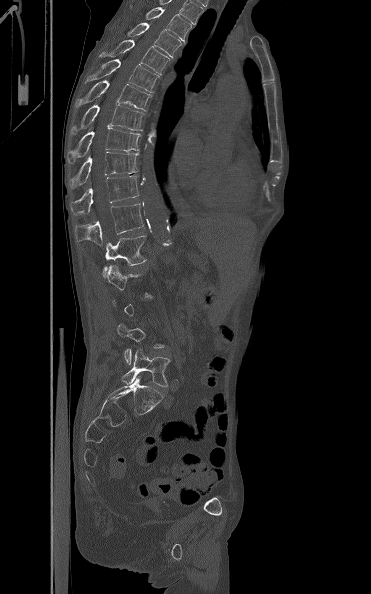 Spine CT. sagittal view. Bone window (WL 400, WW 1800)

Each vertebra is boxed only on the slices from the first to the last where its cross-section reaches a third of its largest, so a slice outside that range leaves it unboxed.
<vertebrae><v name="T3" x1="145" y1="7" x2="191" y2="42"/><v name="T4" x1="127" y1="22" x2="181" y2="57"/><v name="T5" x1="99" y1="40" x2="169" y2="75"/><v name="T6" x1="86" y1="59" x2="159" y2="92"/><v name="T7" x1="76" y1="80" x2="151" y2="110"/><v name="T8" x1="72" y1="104" x2="144" y2="134"/><v name="T9" x1="67" y1="128" x2="140" y2="163"/><v name="T10" x1="69" y1="152" x2="139" y2="188"/><v name="T11" x1="69" y1="175" x2="139" y2="215"/><v name="T12" x1="75" y1="203" x2="143" y2="245"/><v name="L1" x1="103" y1="229" x2="151" y2="278"/><v name="L5" x1="122" y1="349" x2="170" y2="387"/></vertebrae>